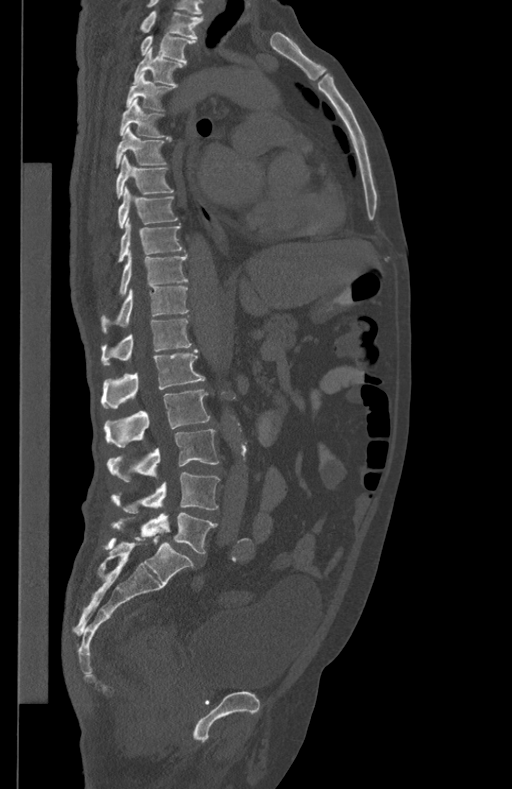

Spine computed tomography · sagittal view · bone-window reconstruction · 512x789 px
Bounding boxes as [x1, y1, x2, y2] in pixel coordinates.
Vertebra bounding boxes:
- L5: [111, 513, 217, 553]
- L4: [111, 472, 220, 512]
- L3: [107, 429, 218, 481]
- L2: [104, 389, 210, 447]
- L1: [101, 349, 204, 408]
- T12: [101, 319, 191, 365]
- T11: [101, 287, 189, 332]
- T10: [119, 251, 188, 296]
- T9: [118, 218, 184, 261]
- T8: [118, 187, 177, 227]
- T7: [116, 155, 174, 198]
- T6: [116, 125, 166, 168]
- T5: [119, 98, 172, 141]
- T4: [126, 72, 174, 109]
- T3: [133, 48, 182, 86]
- T2: [140, 34, 196, 63]
- T1: [140, 11, 204, 38]